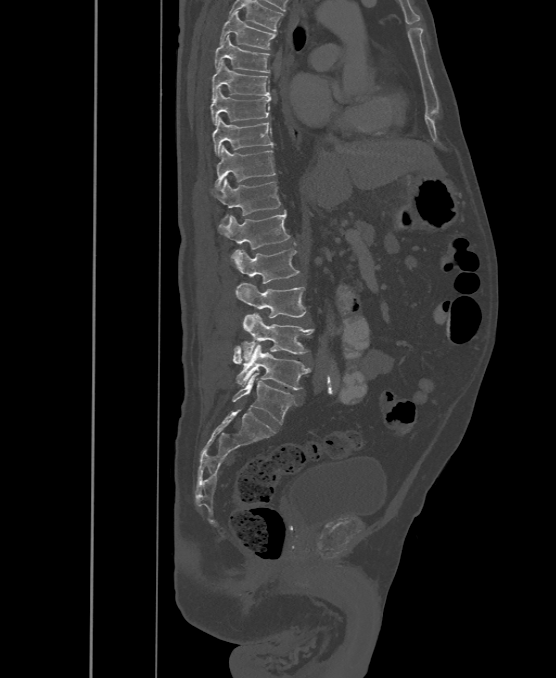 Spine CT — sagittal reformat — 556x678 px — image width 500 mm
Box edges are left/top/right/bottom in pixels.
In these labels the spine has an L6, a sixth lumbar vertebra below L5.
Vertebra bounding boxes:
- T6: left=220, top=11, right=276, bottom=49
- T7: left=215, top=35, right=270, bottom=73
- T8: left=213, top=61, right=269, bottom=99
- T9: left=211, top=88, right=270, bottom=125
- T10: left=213, top=117, right=272, bottom=155
- T11: left=215, top=146, right=276, bottom=188
- T12: left=213, top=179, right=280, bottom=221
- L1: left=218, top=211, right=290, bottom=249
- L2: left=237, top=249, right=298, bottom=283
- L3: left=235, top=283, right=306, bottom=317
- L4: left=240, top=314, right=314, bottom=361
- L5: left=233, top=344, right=310, bottom=389
- L6: left=232, top=373, right=294, bottom=424